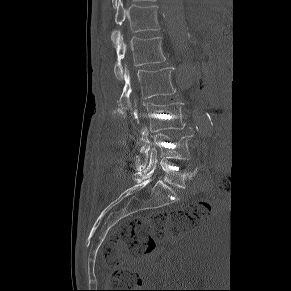

CT, spine; sagittal reformat; 291x291 px; the image spans 291 mm across. Box edges are left/top/right/bottom in pixels.
Vertebra bounding boxes:
- L5: left=134, top=148, right=197, bottom=188
- L4: left=135, top=127, right=195, bottom=171
- L3: left=133, top=103, right=184, bottom=131
- L2: left=117, top=65, right=176, bottom=117
- L1: left=114, top=32, right=165, bottom=79
- T12: left=111, top=0, right=160, bottom=43